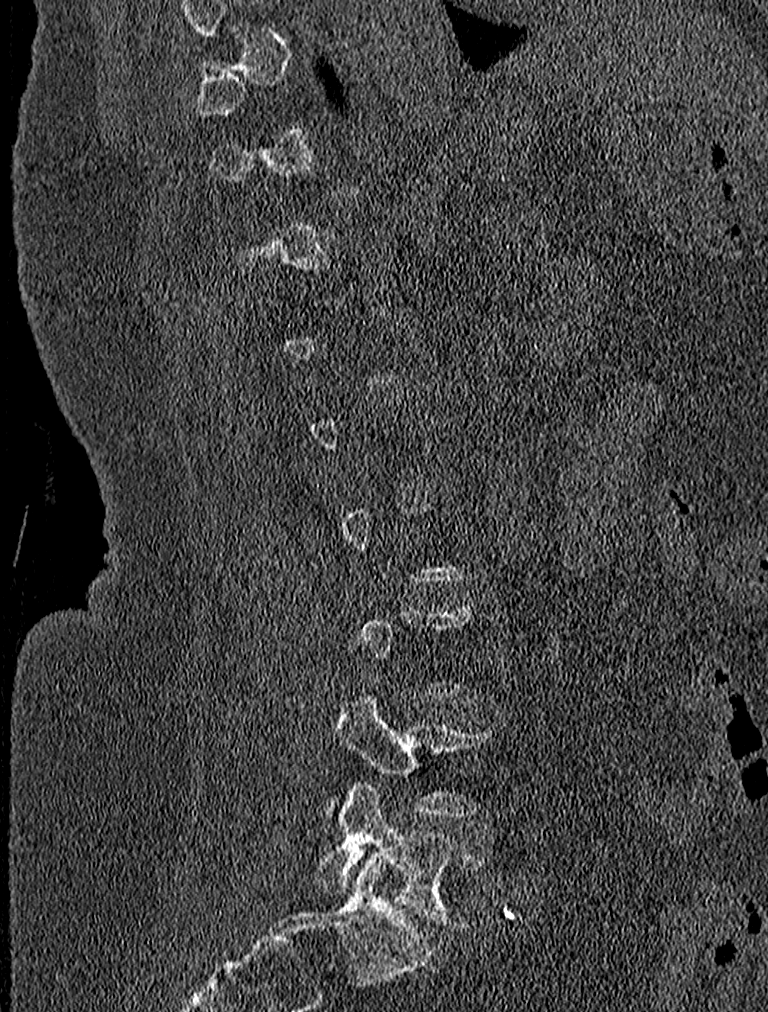

CT, spine; sagittal view; bone window
Each vertebra is boxed only on the slices from the first to the last where its cross-section reaches a third of its largest, so a slice outside that range leaves it unboxed.
<vertebrae><v name="L4" x1="326" y1="691" x2="494" y2="820"/><v name="L5" x1="313" y1="783" x2="485" y2="928"/></vertebrae>